CT — sagittal view — 434 mm across the image
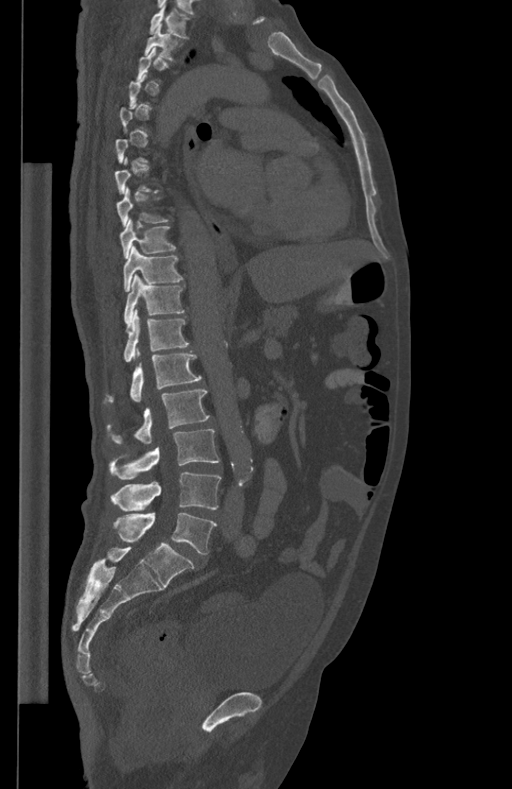

Bounding boxes as [x1, y1, x2, y2] in pixel coordinates.
A vertebra is boxed only from the first to the last slice where its cross-section is at least a third of its largest; slices outside that range leave it without a box.
Vertebra bounding boxes:
- L5: [113, 513, 217, 554]
- L4: [111, 471, 221, 511]
- L3: [110, 429, 220, 479]
- L2: [108, 389, 209, 444]
- L1: [107, 349, 202, 402]
- T12: [124, 309, 189, 362]
- T11: [124, 275, 184, 327]
- T10: [124, 245, 183, 291]
- T9: [119, 218, 176, 258]
- T8: [117, 187, 168, 226]
- T2: [144, 24, 182, 61]
- T1: [150, 5, 189, 38]